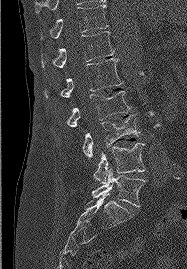 CT spine; the image is 187 mm wide; sagittal view
<vertebrae><v name="T11" x1="41" y1="5" x2="107" y2="38"/><v name="T12" x1="41" y1="31" x2="114" y2="68"/><v name="L1" x1="45" y1="58" x2="123" y2="97"/><v name="L2" x1="66" y1="91" x2="131" y2="127"/><v name="L3" x1="83" y1="115" x2="139" y2="158"/><v name="L4" x1="94" y1="143" x2="145" y2="183"/><v name="L5" x1="92" y1="169" x2="145" y2="206"/></vertebrae>